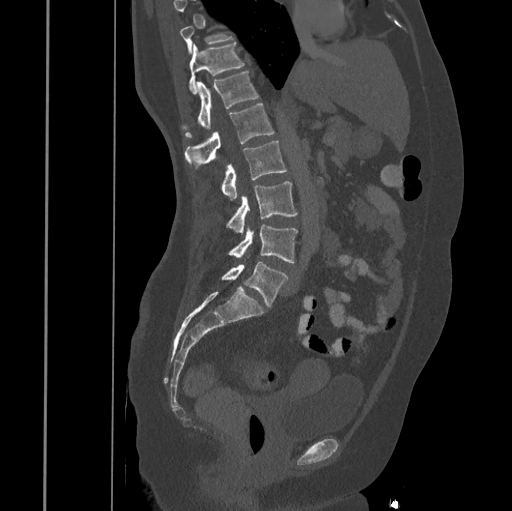
Spine CT; 445 mm image width; sagittal view; bone-window reconstruction
Box edges are left/top/right/bottom in pixels.
Not every vertebra on this slice has a box: a vertebra is boxed only from the first to the last slice where its cross-section is at least a third of its largest, and this slice is outside that range for at least one of them.
L5: left=221, top=262, right=288, bottom=306
L4: left=228, top=224, right=297, bottom=262
L3: left=227, top=181, right=297, bottom=233
L2: left=222, top=140, right=287, bottom=200
L1: left=185, top=104, right=274, bottom=168
T12: left=182, top=71, right=258, bottom=137
T11: left=189, top=42, right=244, bottom=93